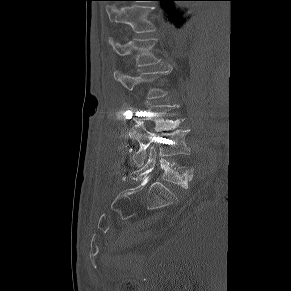 CT spine — sagittal view — bone-window reconstruction
Bounding boxes as [x1, y1, x2, y2] in pixel coordinates. Vertebrae labeled: T12 at [105, 4, 155, 32], L1 at [109, 37, 160, 66], L2 at [114, 70, 170, 98], L3 at [124, 101, 184, 131], L4 at [128, 124, 190, 166], L5 at [131, 146, 193, 188].